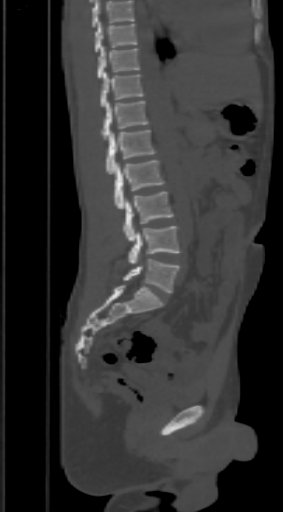

Computed tomography of the spine — sagittal view — bone window. Boxes are (x1, y1, x2, y2) in pixels.
Where the top of the scan cuts through a vertebra, that vertebra gets no label or box.
T9: (95, 22, 136, 52)
T10: (98, 46, 139, 78)
T11: (101, 71, 145, 106)
T12: (101, 101, 147, 140)
L1: (106, 129, 156, 174)
L2: (115, 160, 164, 209)
L3: (123, 191, 173, 241)
L4: (129, 226, 181, 263)
L5: (123, 259, 178, 293)